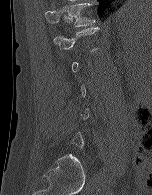
Spine CT; sagittal view; the image is 152 mm wide; bone window; 152x195 px
Each box given as x1,y1,x2,y2. A vertebra is boxed only from the first to the last slice where its cross-section is at least a third of its largest; slices outside that range leave it without a box. Vertebrae labeled: T12 at x1=45, y1=3, x2=95, y2=27, L1 at x1=53, y1=27, x2=99, y2=52.